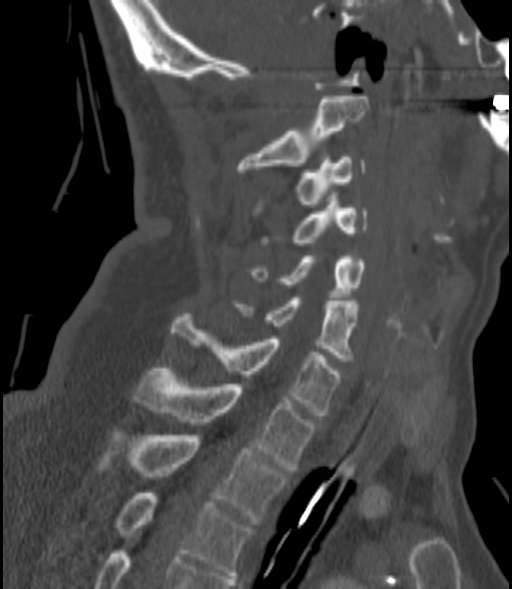
CT spine; sagittal view; W/L 1800/400 HU; 512x589 px
<vertebrae><v name="C2" x1="237" y1="96" x2="368" y2="172"/><v name="C3" x1="298" y1="157" x2="366" y2="207"/><v name="C4" x1="293" y1="198" x2="368" y2="245"/><v name="C5" x1="252" y1="256" x2="366" y2="297"/><v name="C6" x1="236" y1="298" x2="356" y2="361"/><v name="C7" x1="172" y1="314" x2="340" y2="415"/><v name="T1" x1="131" y1="368" x2="315" y2="469"/><v name="T2" x1="96" y1="429" x2="287" y2="524"/><v name="T3" x1="113" y1="493" x2="251" y2="578"/></vertebrae>